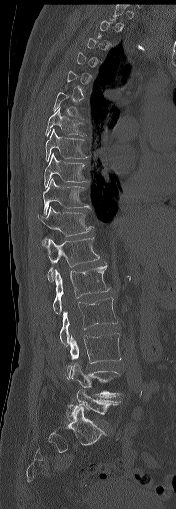 Spine computed tomography. sagittal view. Boxes are (x1, y1, x2, y2) in pixels. A vertebra gets a box only on the slices from the first to the last where its cross-section is at least a third of its largest; on a slice outside that range it gets none. 11 vertebrae labeled — L5 at (68, 389, 120, 419); L4 at (71, 363, 122, 397); L3 at (67, 333, 121, 379); L2 at (59, 297, 117, 346); L1 at (53, 265, 110, 313); T12 at (47, 237, 100, 282); T11 at (38, 206, 93, 246); T10 at (43, 178, 91, 214); T9 at (44, 153, 87, 188); T8 at (45, 128, 87, 161); T7 at (45, 107, 86, 136).